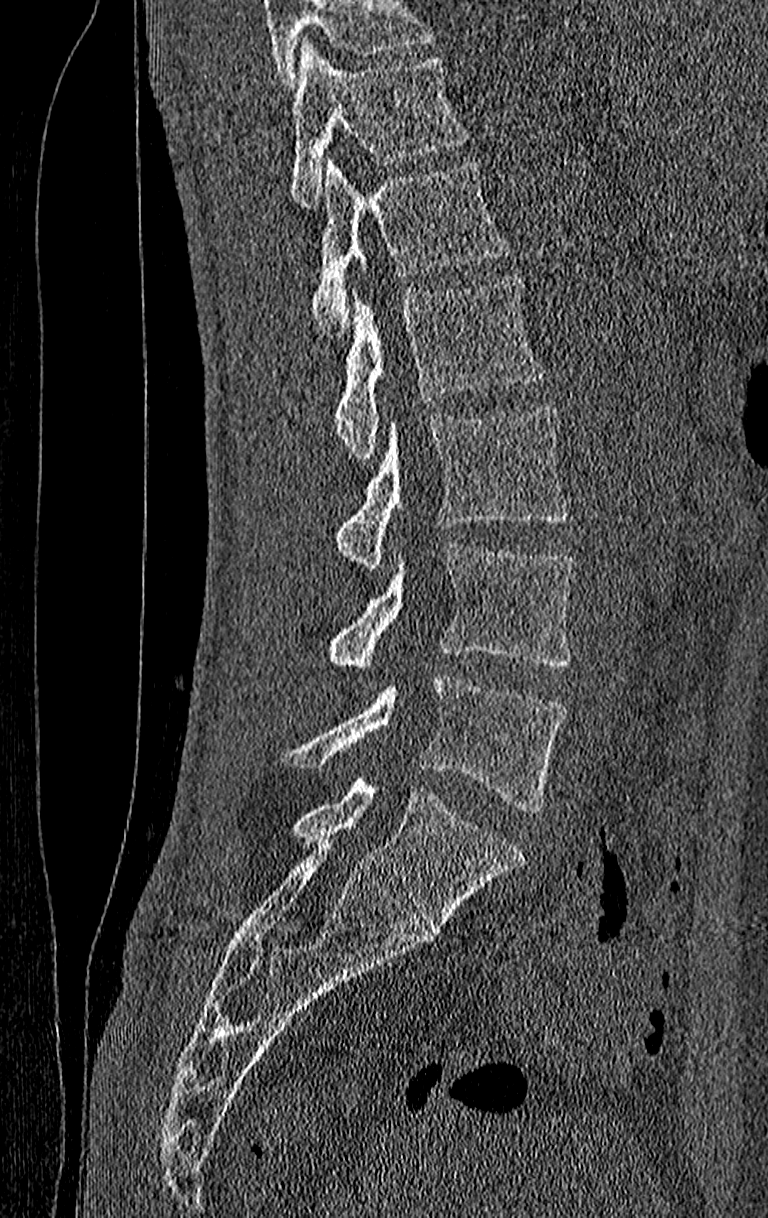
CT; sagittal view; W/L 1800/400 HU

Each vertebra maps to its box as [x1, y1, x2, y2], the pixel coordinates of its top-left and bottom-right corners.
Where the top of the scan cuts through a vertebra, that vertebra gets no label or box.
This scan's labels start at T11 at the top and end at L4 at the bottom.
{"vertebrae":{"T11":[291,41,469,208],"T12":[313,158,510,335],"L1":[335,275,543,465],"L2":[335,406,568,570],"L3":[328,541,575,669],"L4":[288,673,568,812]}}